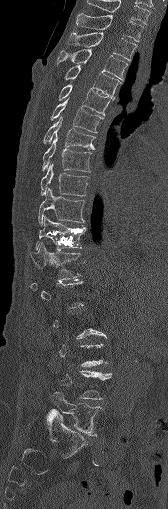 Computed tomography of the spine. sagittal view. 168x509 px
Each box is [x1, y1, x2, y2] in pixels: top-left corner, then bottom-right corner.
Each vertebra is boxed only on the slices from the first to the last where its cross-section reaches a third of its largest, so a slice outside that range leaves it unboxed.
{"vertebrae":{"L5":[50,390,102,435],"T12":[30,243,80,279],"T11":[35,216,86,249],"T10":[38,188,85,225],"T9":[40,164,89,196],"T8":[41,137,91,172],"T7":[43,117,94,149],"T6":[50,100,103,132],"T5":[58,84,113,116],"T4":[64,65,120,97],"T3":[57,49,127,79],"T2":[67,32,136,60],"T1":[76,14,143,41],"C7":[88,0,150,24]}}